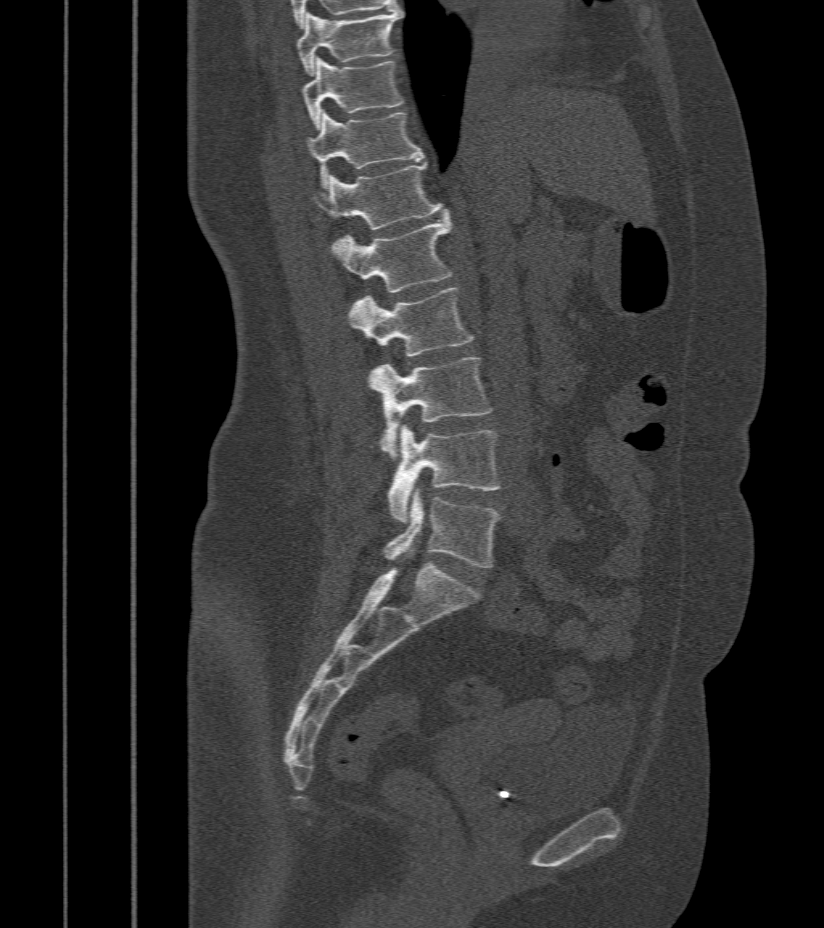 Computed tomography of the spine. sagittal reformat. bone-window reconstruction. 824x928 px
Boxes are (x1, y1, x2, y2) in pixels.
Vertebra bounding boxes:
- T9: (298, 9, 403, 76)
- T10: (303, 57, 405, 128)
- T11: (307, 111, 425, 187)
- T12: (314, 163, 446, 230)
- L1: (332, 215, 453, 292)
- L2: (349, 287, 475, 356)
- L3: (369, 357, 493, 460)
- L4: (388, 425, 501, 522)
- L5: (383, 489, 501, 568)